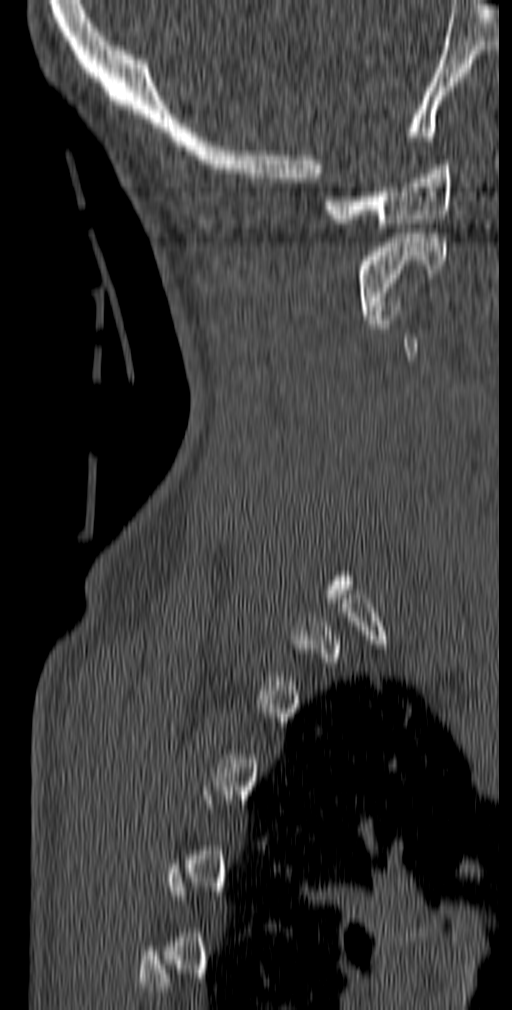 Spine CT · 140 mm across the image · sagittal view
Box values are [left, top, right, bottom] in pixels.
Not every vertebra on this slice has a box: a vertebra is boxed only from the first to the last slice where its cross-section is at least a third of its largest, and this slice is outside that range for at least one of them.
{"vertebrae":{"C1":[324,160,450,232],"C2":[358,233,447,319]}}